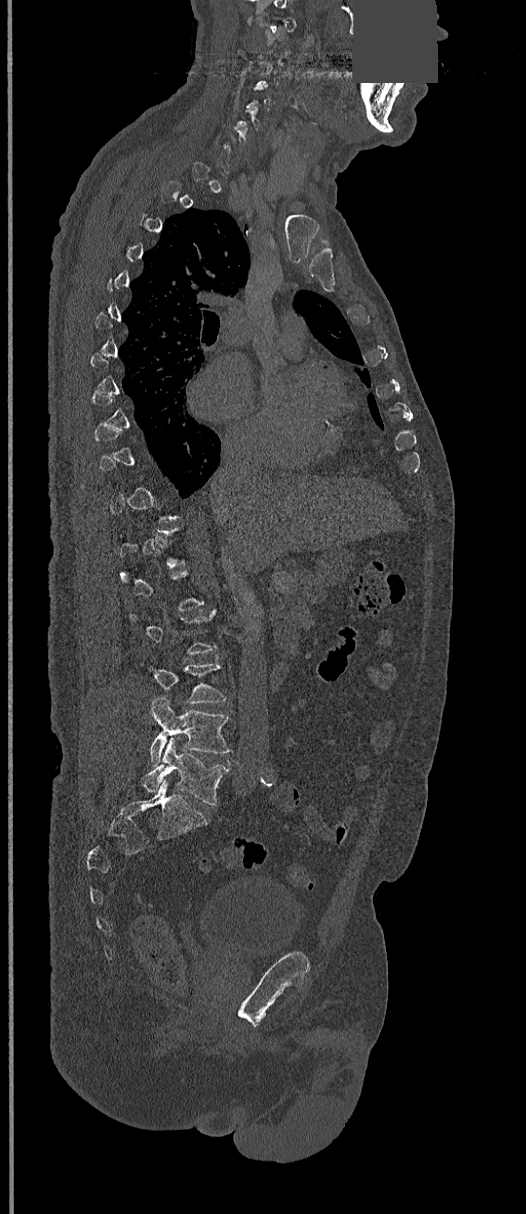 Spine CT. image width 368 mm. sagittal view. a region of this slice is masked with a uniform fill

Boxes: x1:y1:x2:y2 in pixels. A vertebra is boxed only from the first to the last slice where its cross-section is at least a third of its largest; slices outside that range leave it without a box. Vertebrae labeled: L4 at 150:697:232:765, L5 at 143:739:229:805.